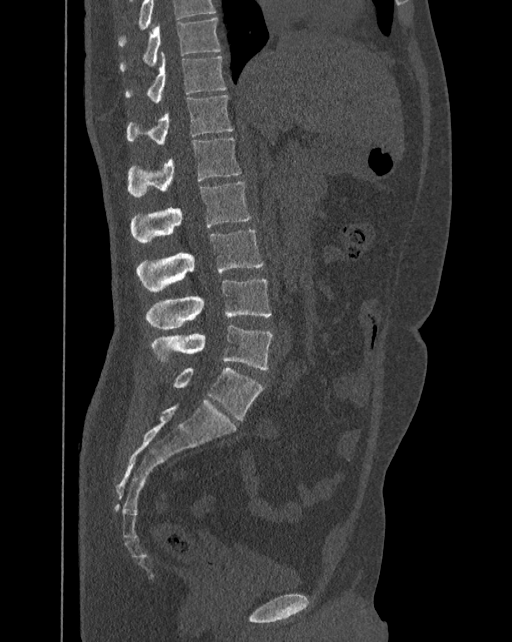
CT. sagittal view. Bone window (WL 400, WW 1800)

Box edges are left/top/right/bottom in pixels.
In this scan, the topmost labeled vertebra is T10 and the lowest is L6.
The labels name a sixth lumbar vertebra for this spine: L6, after L5.
| vertebra | x1 | y1 | x2 | y2 |
|---|---|---|---|---|
| T10 | 120 | 18 | 221 | 72 |
| T11 | 125 | 53 | 226 | 102 |
| T12 | 127 | 94 | 233 | 145 |
| L1 | 128 | 138 | 240 | 196 |
| L2 | 130 | 181 | 251 | 242 |
| L3 | 136 | 229 | 263 | 291 |
| L4 | 146 | 279 | 271 | 328 |
| L5 | 151 | 324 | 272 | 369 |
| L6 | 174 | 368 | 263 | 420 |